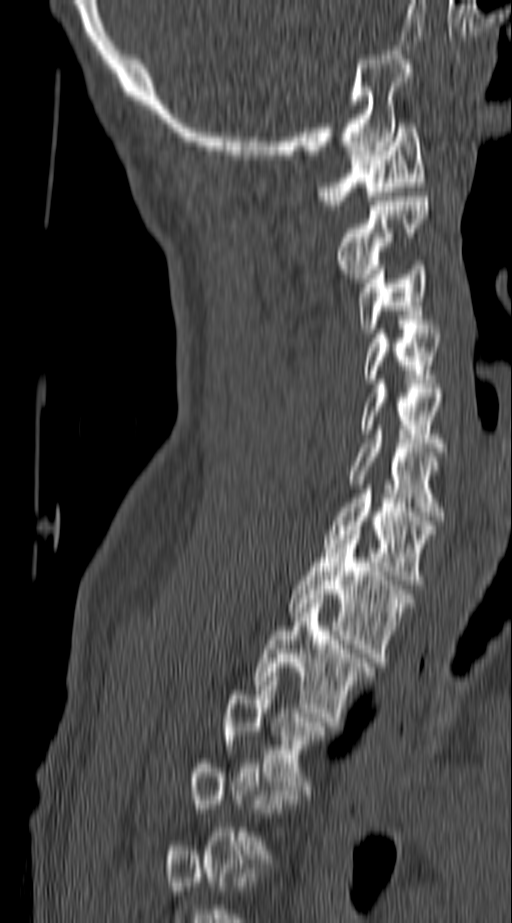

Spine CT · sagittal view · 512x923 px

Boxes: x1 y1 x2 y2 (pixel coords, space-separated).
A vertebra gets a box only on the slices from the first to the last where its cross-section is at least a third of its largest; on a slice outside that range it gets none.
Vertebra bounding boxes:
- C1: 320 123 425 205
- C2: 338 197 428 282
- C3: 357 265 428 333
- C4: 363 329 439 383
- C5: 360 384 443 452
- C6: 349 430 443 520
- C7: 323 489 436 584
- T1: 289 530 414 662
- T2: 254 599 373 726
- T3: 224 672 326 794